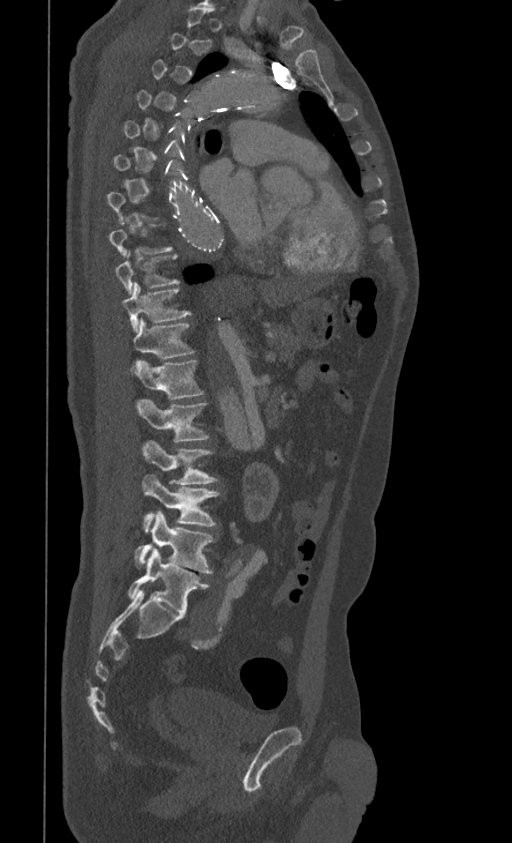

Spine CT; sagittal reformat; bone window; 512x843 px
A vertebra gets a box only on the slices from the first to the last where its cross-section is at least a third of its largest; on a slice outside that range it gets none.
<vertebrae><v name="T9" x1="115" y1="251" x2="179" y2="295"/><v name="T10" x1="122" y1="282" x2="190" y2="332"/><v name="T11" x1="132" y1="320" x2="194" y2="358"/><v name="T12" x1="132" y1="360" x2="203" y2="400"/><v name="L1" x1="136" y1="400" x2="208" y2="441"/><v name="L2" x1="142" y1="440" x2="217" y2="484"/><v name="L3" x1="142" y1="475" x2="220" y2="531"/><v name="L4" x1="135" y1="510" x2="214" y2="573"/><v name="L5" x1="128" y1="547" x2="208" y2="615"/></vertebrae>